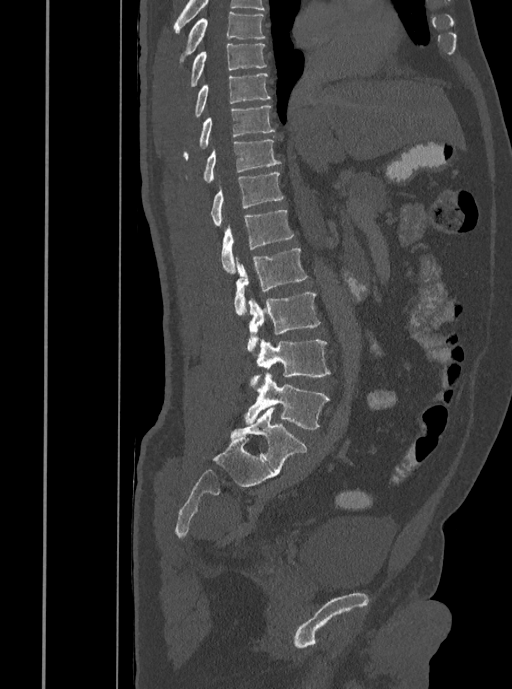

Computed tomography of the spine; sagittal reformat; bone window. Box edges are left/top/right/bottom in pixels.
Vertebra bounding boxes:
- L5: left=244, top=373, right=329, bottom=429
- L4: left=249, top=339, right=330, bottom=384
- L3: left=247, top=293, right=320, bottom=350
- L2: left=234, top=248, right=308, bottom=314
- L1: left=221, top=210, right=294, bottom=272
- T12: left=211, top=172, right=284, bottom=226
- T11: left=204, top=139, right=280, bottom=182
- T10: left=183, top=105, right=274, bottom=158
- T9: left=194, top=73, right=270, bottom=118
- T8: left=191, top=43, right=266, bottom=86
- T7: left=180, top=11, right=265, bottom=61